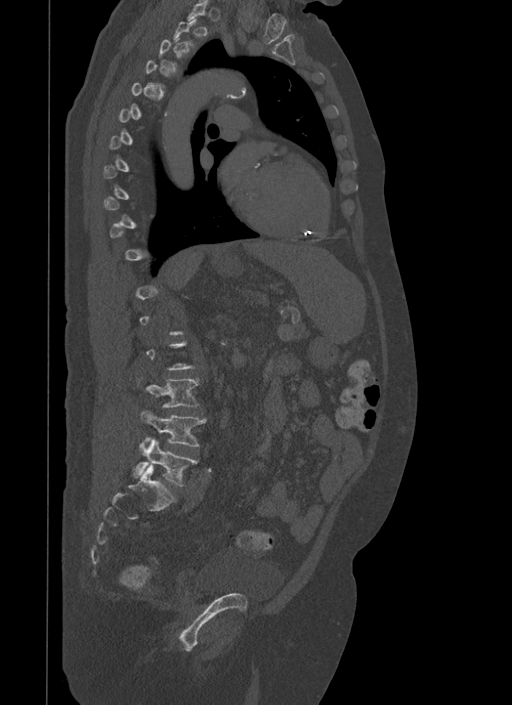

Spine CT — sagittal reformat — image 500 mm wide
Each box is [x1, y1, x2, y2] in pixels: top-left corner, then bottom-right corner.
A vertebra gets a box only on the slices from the first to the last where its cross-section is at least a third of its largest; on a slice outside that range it gets none.
{"vertebrae":{"L3":[137,378,199,407],"L4":[141,411,206,446],"L5":[135,438,198,486]}}